Spine computed tomography — sagittal view — 146 mm wide — W/L 1800/400 HU — 8 vertebrae labeled in this scan
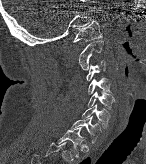
<vertebrae><v name="C1" x1="73" y1="20" x2="102" y2="42"/><v name="C2" x1="78" y1="40" x2="103" y2="70"/><v name="C3" x1="86" y1="59" x2="106" y2="81"/><v name="C4" x1="88" y1="76" x2="113" y2="94"/><v name="C5" x1="87" y1="92" x2="114" y2="110"/><v name="C6" x1="81" y1="105" x2="110" y2="129"/><v name="C7" x1="71" y1="116" x2="101" y2="144"/><v name="T1" x1="57" y1="127" x2="83" y2="158"/></vertebrae>